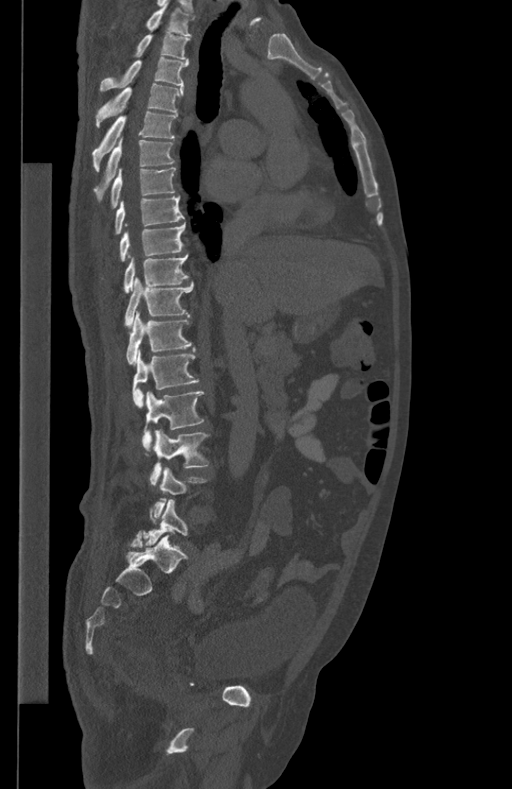
CT, spine — sagittal view — W/L 1800/400 HU — 512x789 px
Box edges are left/top/right/bottom in pixels.
Vertebra bounding boxes:
- T1: left=145, top=1, right=195, bottom=36
- T2: left=133, top=33, right=190, bottom=58
- T3: left=100, top=57, right=189, bottom=90
- T4: left=95, top=84, right=183, bottom=126
- T5: left=92, top=110, right=178, bottom=170
- T6: left=93, top=138, right=175, bottom=200
- T7: left=110, top=167, right=176, bottom=208
- T8: left=114, top=195, right=183, bottom=235
- T9: left=119, top=223, right=185, bottom=261
- T10: left=124, top=254, right=189, bottom=292
- T11: left=124, top=278, right=194, bottom=327
- T12: left=126, top=311, right=191, bottom=364
- L1: left=132, top=348, right=198, bottom=408
- L2: left=143, top=392, right=204, bottom=450
- L3: left=150, top=429, right=209, bottom=487
- L4: left=150, top=467, right=208, bottom=521
- L5: left=144, top=500, right=188, bottom=545